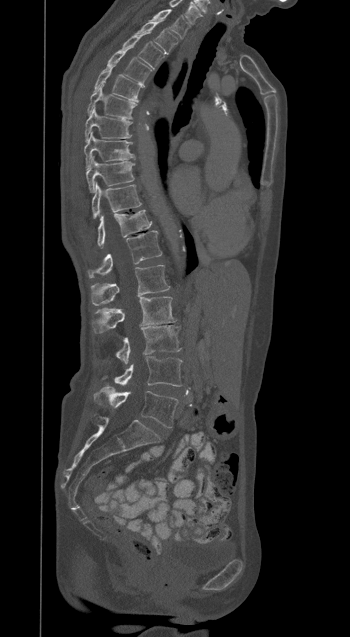
Spine computed tomography; the image spans 350 mm across; sagittal view; bone-window reconstruction; 350x637 px

Each row gives a vertebra's box as x1, y1, x2, y2 in pixels: top-left corner, then bottom-right corner.
| vertebra | x1 | y1 | x2 | y2 |
|---|---|---|---|---|
| T1 | 151 | 9 | 189 | 38 |
| T2 | 137 | 21 | 178 | 53 |
| T3 | 122 | 34 | 165 | 69 |
| T4 | 107 | 49 | 151 | 84 |
| T5 | 95 | 66 | 144 | 102 |
| T6 | 87 | 85 | 136 | 118 |
| T7 | 85 | 107 | 132 | 141 |
| T8 | 84 | 132 | 134 | 167 |
| T9 | 86 | 156 | 134 | 192 |
| T10 | 92 | 182 | 141 | 218 |
| T11 | 97 | 210 | 151 | 246 |
| T12 | 88 | 231 | 162 | 277 |
| L1 | 91 | 265 | 169 | 305 |
| L2 | 92 | 297 | 176 | 333 |
| L3 | 115 | 326 | 180 | 364 |
| L4 | 114 | 356 | 182 | 386 |
| L5 | 94 | 387 | 178 | 427 |